Spine computed tomography · the image spans 401 mm across · sagittal view · 401x522 px
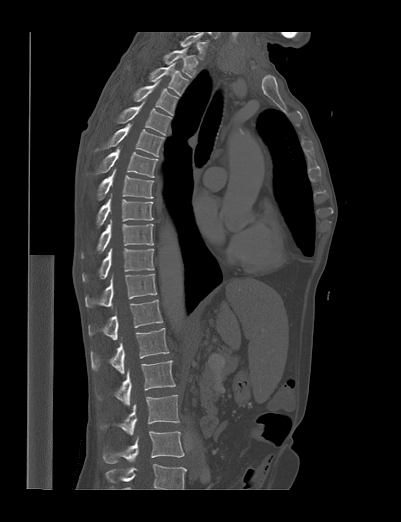
The highest labeled vertebra in this scan is T1; the lowest is L4.
<vertebrae><v name="T1" x1="162" y1="48" x2="198" y2="77"/><v name="T2" x1="148" y1="63" x2="188" y2="95"/><v name="T3" x1="133" y1="79" x2="178" y2="116"/><v name="T4" x1="116" y1="102" x2="171" y2="134"/><v name="T5" x1="101" y1="123" x2="164" y2="156"/><v name="T6" x1="96" y1="147" x2="158" y2="177"/><v name="T7" x1="97" y1="169" x2="153" y2="200"/><v name="T8" x1="97" y1="193" x2="153" y2="226"/><v name="T9" x1="81" y1="219" x2="153" y2="258"/><v name="T10" x1="82" y1="248" x2="154" y2="282"/><v name="T11" x1="85" y1="274" x2="156" y2="307"/><v name="T12" x1="88" y1="299" x2="163" y2="339"/><v name="L1" x1="91" y1="328" x2="169" y2="373"/><v name="L2" x1="97" y1="360" x2="175" y2="405"/><v name="L3" x1="119" y1="395" x2="179" y2="435"/><v name="L4" x1="102" y1="431" x2="184" y2="463"/></vertebrae>